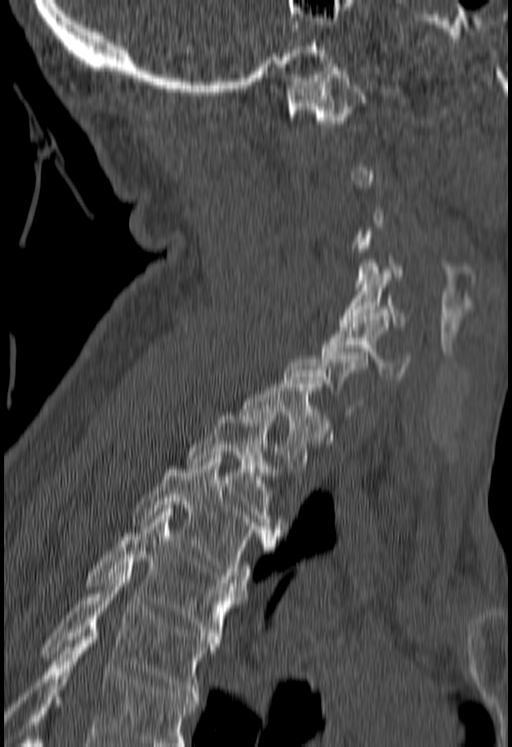 Computed tomography of the spine. sagittal view. 512x747 px
Not every vertebra on this slice has a box: a vertebra is boxed only from the first to the last slice where its cross-section is at least a third of its largest, and this slice is outside that range for at least one of them.
Vertebrae that run past the bottom of the scan are left unlabeled.
<vertebrae><v name="T5" x1="39" y1="569" x2="216" y2="696"/><v name="T4" x1="89" y1="512" x2="245" y2="643"/><v name="T3" x1="132" y1="459" x2="276" y2="579"/><v name="T2" x1="186" y1="412" x2="283" y2="536"/><v name="T1" x1="239" y1="384" x2="328" y2="468"/><v name="C6" x1="322" y1="316" x2="409" y2="379"/><v name="C5" x1="338" y1="270" x2="411" y2="326"/><v name="C1" x1="286" y1="68" x2="366" y2="141"/></vertebrae>